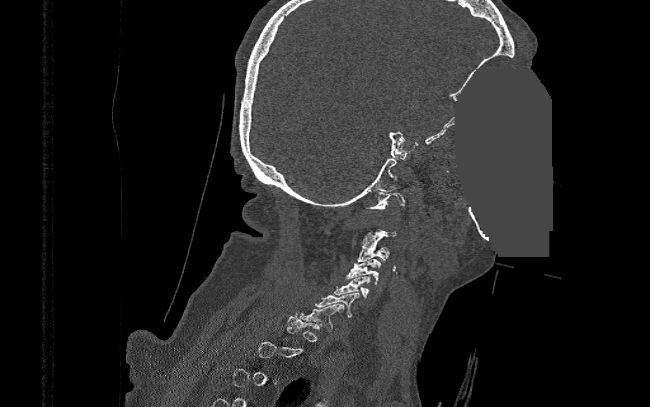 Spine CT. image 390 mm wide. sagittal view. bone window. a region is masked with a constant gray value

In the table, x1 and y1 are a box's top-left corner and x2 and y2 its bottom-right corner, in pixels.
A vertebra is boxed only from the first to the last slice where its cross-section is at least a third of its largest; slices outside that range leave it without a box.
| vertebra | x1 | y1 | x2 | y2 |
|---|---|---|---|---|
| C1 | 366 | 192 | 404 | 209 |
| C3 | 357 | 242 | 389 | 261 |
| C4 | 347 | 259 | 381 | 284 |
| C5 | 334 | 276 | 370 | 298 |
| C6 | 314 | 293 | 360 | 318 |
| C7 | 300 | 303 | 344 | 331 |